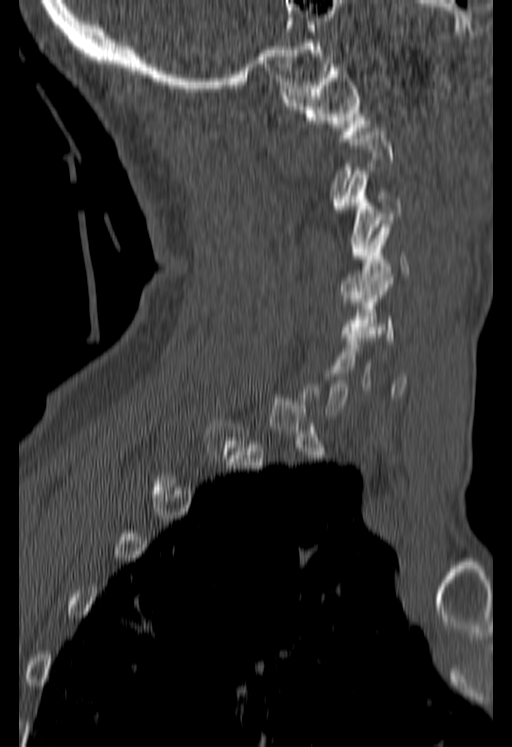 CT spine · the image spans 180 mm across · sagittal view · 512x747 px

Coordinates as <box>x1,y1,x2,y2</box>.
A vertebra is boxed only from the first to the last slice where its cross-section is at least a third of its largest; slices outside that range leave it without a box.
Vertebra bounding boxes:
- C1: <box>282,64,369,141</box>
- C3: <box>334,171,401,255</box>
- C4: <box>342,220,409,301</box>
- C5: <box>340,274,393,340</box>